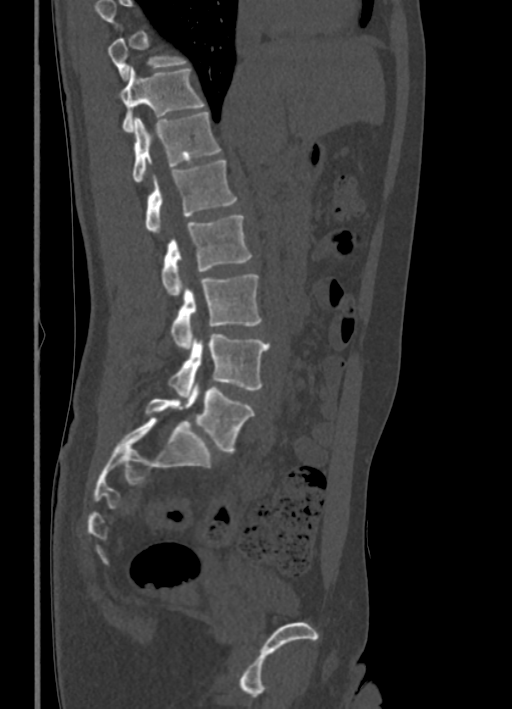

CT, spine; sagittal view; image 336 mm wide. Boxes: x1 y1 x2 y2 (pixel coords, space-separated).
Where the top of the scan cuts through a vertebra, that vertebra gets no label or box.
Vertebra bounding boxes:
- T10: 108 37 188 79
- T11: 120 66 205 132
- T12: 132 111 221 182
- L1: 145 160 237 232
- L2: 161 215 252 294
- L3: 170 274 261 348
- L4: 169 334 270 395
- L5: 145 384 255 451